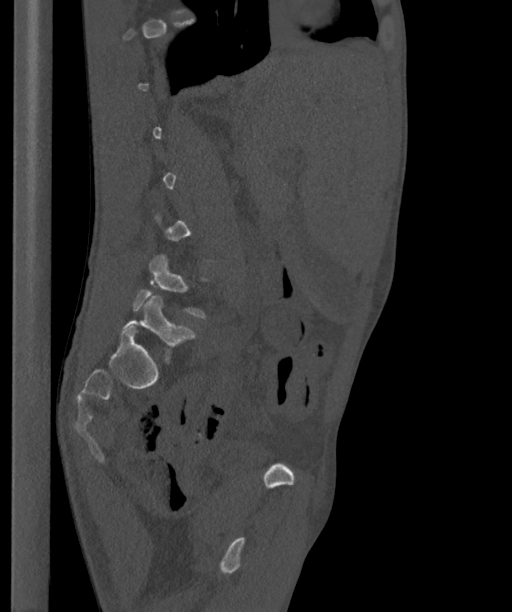
CT, spine · sagittal view
Coordinates as <box>x1,y1,x2,y2</box>. A vertebra is boxed only from the first to the last slice where its cross-section is at least a third of its largest; slices outside that range leave it without a box. The labels name a sixth lumbar vertebra for this spine: L6, after L5. The labeled vertebrae in this slice are: L6 at <box>122,296,195,362</box>, L5 at <box>131,254,208,318</box>.